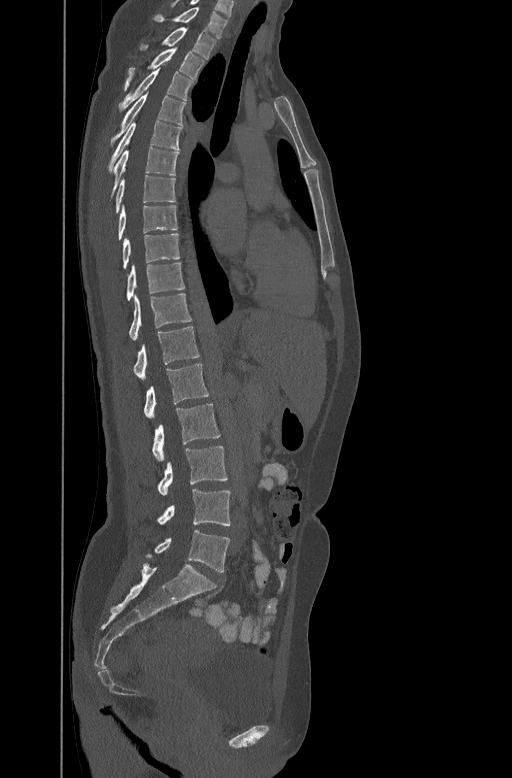

Computed tomography of the spine — sagittal view — 447 mm across the image — bone-window reconstruction
Columns x1, y1, x2, y2 give each box's top-left and bottom-right pixels.
| vertebra | x1 | y1 | x2 | y2 |
|---|---|---|---|---|
| C7 | 153 | 5 | 228 | 37 |
| T1 | 140 | 27 | 217 | 58 |
| T2 | 124 | 46 | 204 | 89 |
| T3 | 119 | 68 | 194 | 108 |
| T4 | 112 | 94 | 187 | 139 |
| T5 | 109 | 120 | 182 | 169 |
| T6 | 112 | 146 | 179 | 193 |
| T7 | 114 | 175 | 175 | 211 |
| T8 | 118 | 204 | 178 | 238 |
| T9 | 122 | 232 | 179 | 268 |
| T10 | 127 | 261 | 184 | 300 |
| T11 | 128 | 292 | 191 | 339 |
| T12 | 134 | 325 | 199 | 378 |
| L1 | 144 | 363 | 209 | 419 |
| L2 | 152 | 404 | 220 | 461 |
| L3 | 158 | 446 | 227 | 496 |
| L4 | 158 | 489 | 230 | 526 |
| L5 | 147 | 530 | 230 | 572 |